Spine CT · Sagittal slice 276/512 · 512x933 px · 10 vertebrae labeled in this scan · a region is masked with a constant gray value
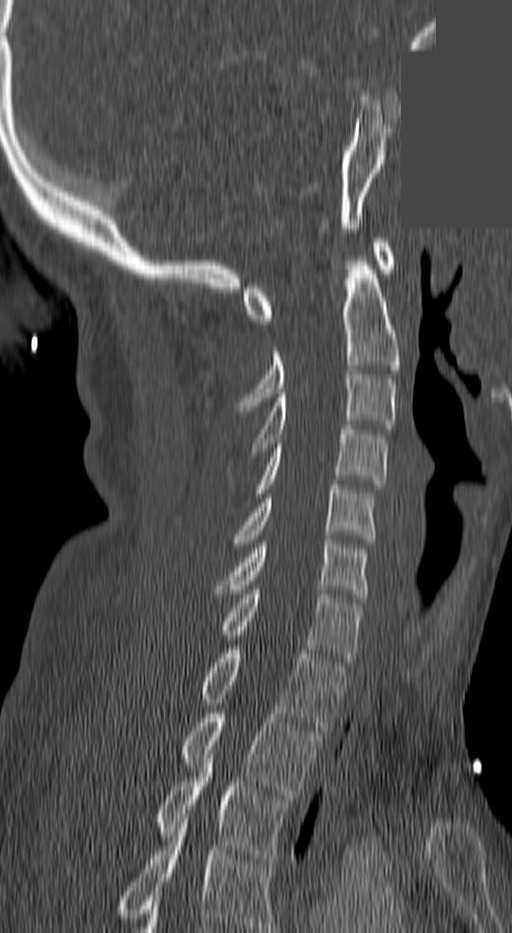
Bounding boxes as [x1, y1, x2, y2] in pixel coordinates.
In this scan, the topmost labeled vertebra is C1 and the lowest is T3.
C1: [243, 242, 395, 324]
C2: [238, 256, 399, 406]
C3: [250, 375, 395, 456]
C4: [255, 425, 388, 497]
C5: [235, 485, 373, 543]
C6: [213, 539, 366, 598]
C7: [217, 590, 362, 662]
T1: [195, 649, 344, 730]
T2: [177, 713, 320, 799]
T3: [151, 750, 289, 863]